CT. sagittal reformat. 768x1012 px
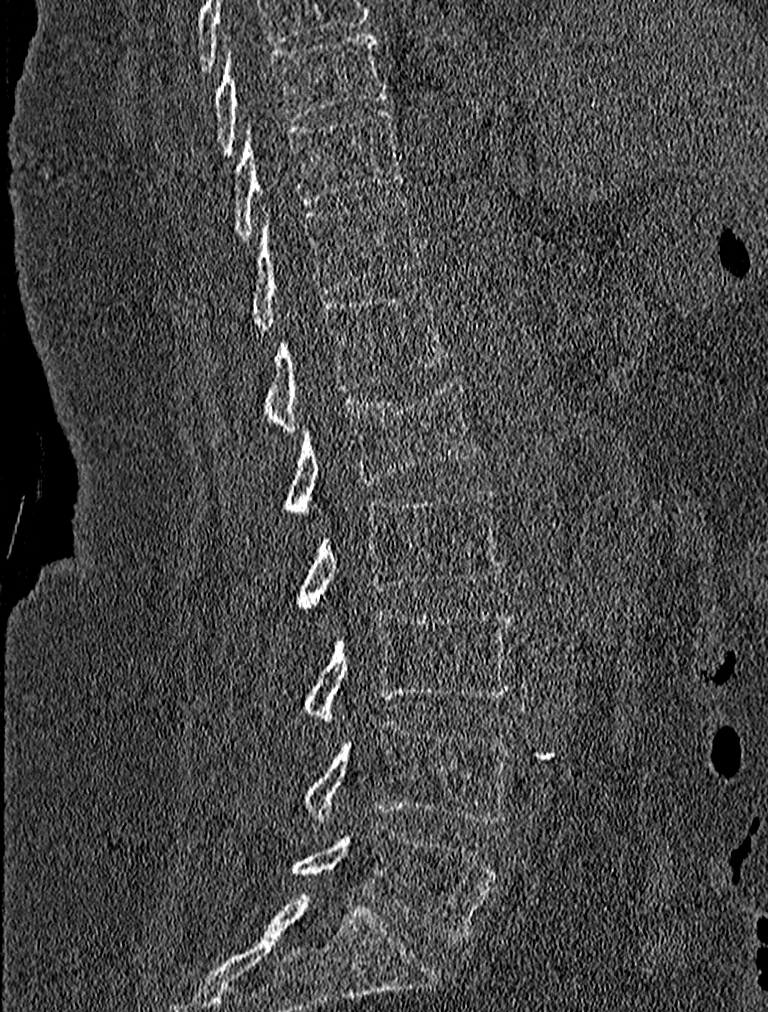

Bounding boxes as [x1, y1, x2, y2] in pixel coordinates. Vertebrae labeled: T9 at [212, 30, 387, 151], T10 at [232, 108, 404, 240], T11 at [249, 196, 421, 331], T12 at [263, 288, 448, 431], L1 at [286, 379, 478, 518], L2 at [297, 487, 502, 610], L3 at [303, 611, 515, 725], L4 at [303, 719, 513, 823], L5 at [293, 824, 499, 941].